Spine computed tomography · sagittal view · 512x589 px · 200 mm image width
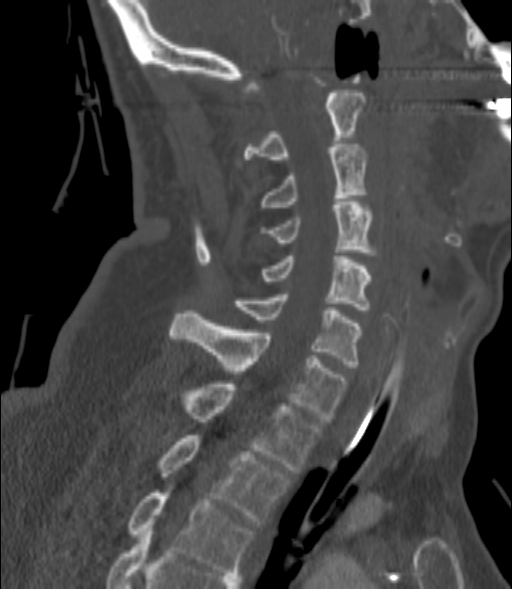

<vertebrae><v name="C2" x1="244" y1="93" x2="366" y2="159"/><v name="C3" x1="259" y1="144" x2="367" y2="210"/><v name="C4" x1="262" y1="202" x2="376" y2="255"/><v name="C5" x1="259" y1="256" x2="371" y2="313"/><v name="C6" x1="234" y1="294" x2="361" y2="367"/><v name="C7" x1="170" y1="310" x2="345" y2="421"/><v name="T1" x1="185" y1="384" x2="320" y2="473"/><v name="T2" x1="157" y1="435" x2="289" y2="524"/><v name="T3" x1="129" y1="493" x2="253" y2="575"/></vertebrae>